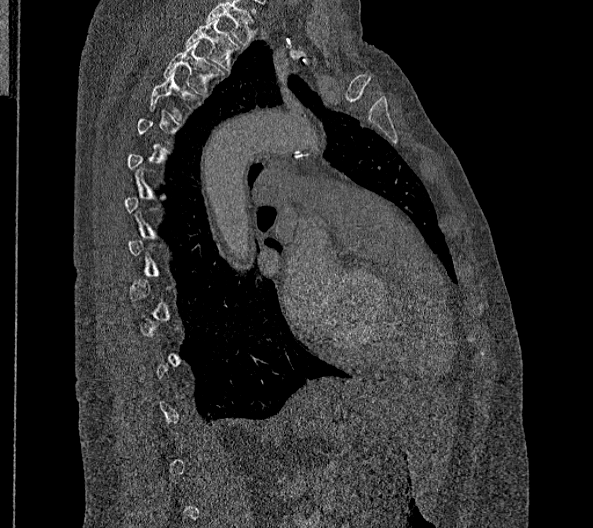
Spine CT. sagittal view. W/L 1800/400 HU. 356 mm image width

Boxes: x1:y1:x2:y2 in pixels.
A vertebra is boxed only from the first to the last slice where its cross-section is at least a third of its largest; slices outside that range leave it without a box.
This scan's labels start at T2 at the top and end at L2 at the bottom.
T2: 185:18:240:72
T3: 163:41:224:95
T4: 148:70:199:119